CT spine. sagittal reformat. W/L 1800/400 HU. 175x175 px
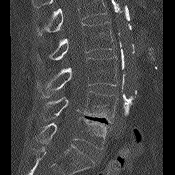 Each box given as x1,y1,x2,y2.
Vertebrae that run past the top of the scan are left unlabeled.
Vertebra bounding boxes:
- L5: x1=35, y1=116, x2=107, y2=149
- L4: x1=41, y1=91, x2=117, y2=123
- L3: x1=37, y1=57, x2=117, y2=97
- L2: x1=37, y1=21, x2=113, y2=63